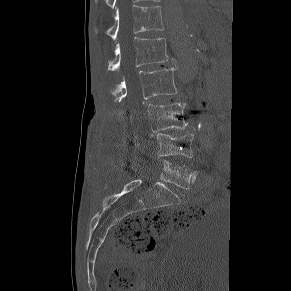

CT, spine · image 291 mm wide · sagittal view · bone-window reconstruction · 291x291 px

Bounding boxes as [x1, y1, x2, y2] in pixel coordinates.
L5: [132, 160, 199, 188]
L4: [157, 133, 193, 157]
L3: [148, 103, 188, 131]
L2: [112, 68, 177, 105]
L1: [108, 37, 168, 70]
T12: [95, 5, 164, 39]